CT, spine · sagittal plane, index 264 · 512x878 px
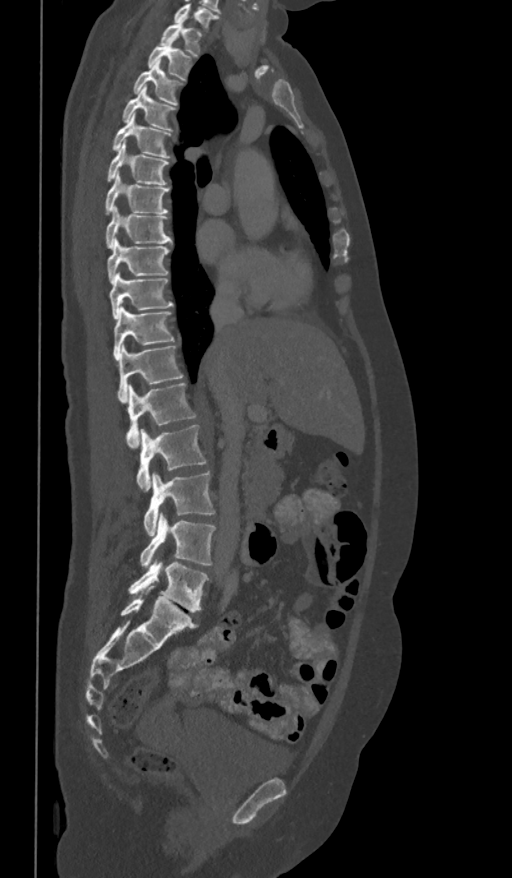 Coordinates as <box>x1,y1,x2,y2</box>. In this scan, the topmost labeled vertebra is T1 and the lowest is L5. 17 vertebrae labeled — T1 at <box>160,17,203,56</box>; T2 at <box>147,40,192,79</box>; T3 at <box>133,60,183,105</box>; T4 at <box>123,86,176,130</box>; T5 at <box>112,112,171,157</box>; T6 at <box>106,140,169,184</box>; T7 at <box>105,174,169,213</box>; T8 at <box>105,206,172,248</box>; T9 at <box>108,239,170,284</box>; T10 at <box>109,273,173,318</box>; T11 at <box>113,305,175,360</box>; T12 at <box>118,345,183,402</box>; L1 at <box>126,383,196,447</box>; L2 at <box>136,425,206,492</box>; L3 at <box>143,471,214,535</box>; L4 at <box>140,512,216,567</box>; L5 at <box>129,559,209,612</box>.